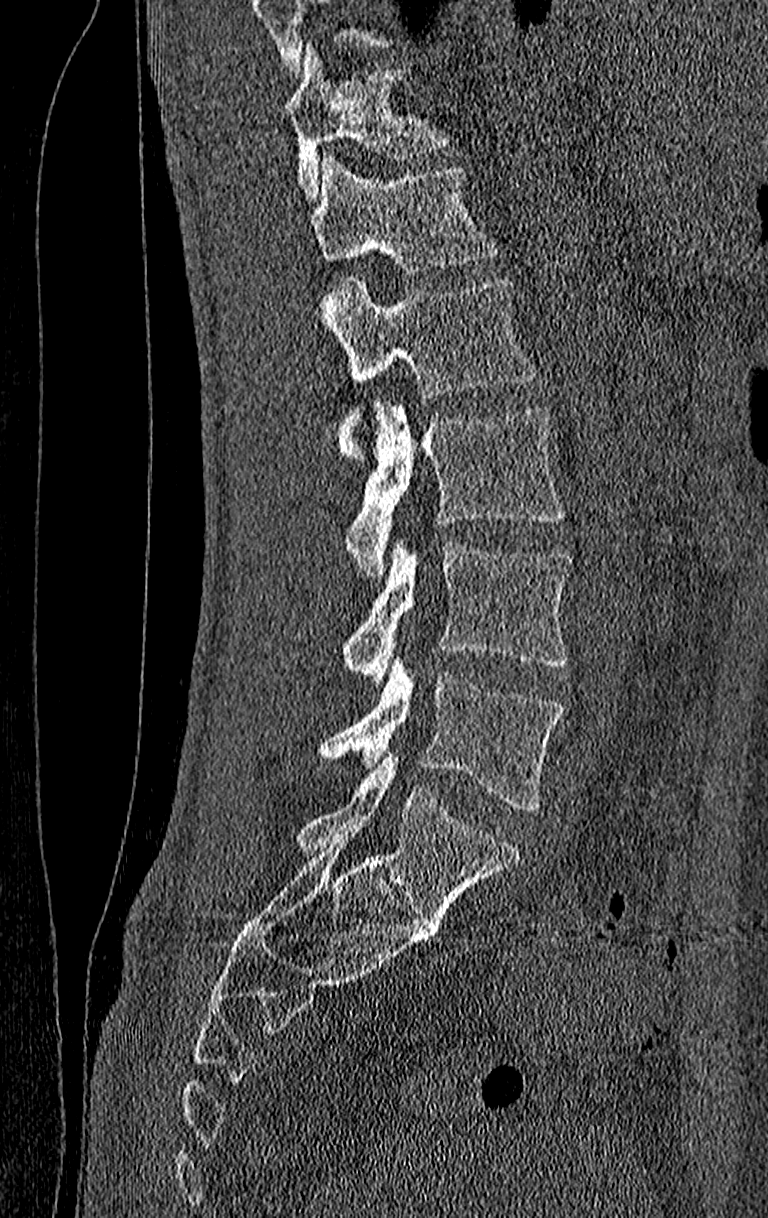 Spine computed tomography. sagittal view. bone-window reconstruction. 768x1218 px
Box edges are left/top/right/bottom in pixels. Where the top of the scan cuts through a vertebra, that vertebra gets no label or box. Labels in this scan begin with T11 at the top and end with L4 at the bottom. 6 vertebrae labeled — T11 at left=284, top=48, right=447, bottom=198; T12 at left=310, top=155, right=499, bottom=274; L1 at left=321, top=278, right=535, bottom=458; L2 at left=346, top=403, right=565, bottom=573; L3 at left=342, top=540, right=572, bottom=684; L4 at left=320, top=655, right=565, bottom=812.